Spine computed tomography. sagittal plane, index 480. bone window. scan covers 9 annotated vertebrae
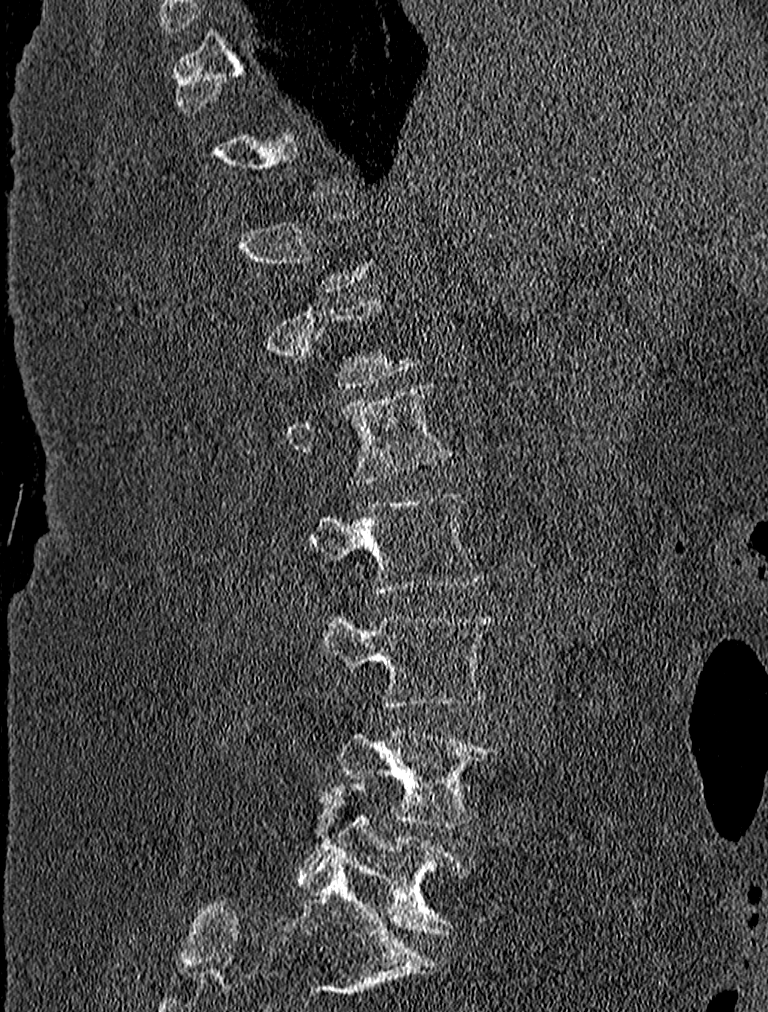
A vertebra gets a box only on the slices from the first to the last where its cross-section is at least a third of its largest; on a slice outside that range it gets none.
<vertebrae><v name="L5" x1="297" y1="781" x2="468" y2="934"/><v name="L4" x1="337" y1="729" x2="498" y2="826"/><v name="L3" x1="310" y1="607" x2="495" y2="708"/><v name="L2" x1="307" y1="495" x2="482" y2="593"/><v name="L1" x1="286" y1="382" x2="451" y2="483"/></vertebrae>